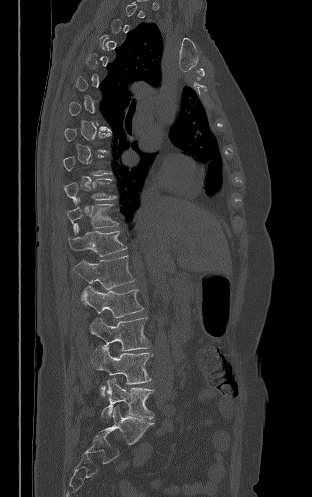 Spine computed tomography — sagittal view — bone-window reconstruction. Boxes: x1:y1:x2:y2 in pixels.
A vertebra gets a box only on the slices from the first to the last where its cross-section is at least a third of its largest; on a slice outside that range it gets none.
Vertebra bounding boxes:
- T10: 64:179:115:203
- T11: 67:198:118:233
- T12: 68:223:126:256
- L1: 73:256:134:289
- L2: 81:285:143:318
- L3: 90:318:150:350
- L4: 91:346:152:396
- L5: 101:378:154:422